Spine CT; 392 mm across the image; sagittal view; 512x642 px; 9 vertebrae labeled in this scan
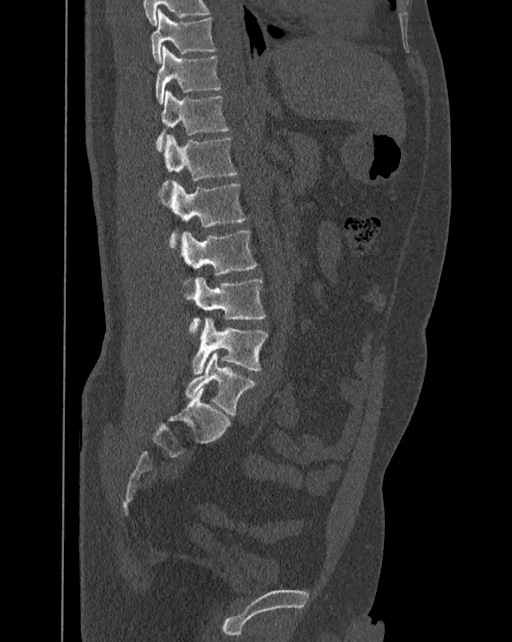

These labels give the spine a sixth lumbar vertebra, L6, below L5.
<vertebrae><v name="T10" x1="150" y1="9" x2="214" y2="62"/><v name="T11" x1="155" y1="46" x2="221" y2="104"/><v name="T12" x1="155" y1="91" x2="229" y2="149"/><v name="L1" x1="163" y1="135" x2="237" y2="181"/><v name="L2" x1="160" y1="181" x2="247" y2="245"/><v name="L3" x1="179" y1="230" x2="256" y2="275"/><v name="L4" x1="183" y1="277" x2="265" y2="328"/><v name="L5" x1="192" y1="317" x2="268" y2="374"/><v name="L6" x1="185" y1="353" x2="255" y2="415"/></vertebrae>